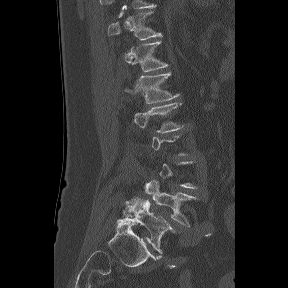 Spine CT — 288 mm wide — sagittal view
Box edges are left/top/right/bottom in pixels.
A vertebra is boxed only from the first to the last slice where its cross-section is at least a third of its largest; slices outside that range leave it without a box.
The labels name a sixth lumbar vertebra for this spine: L6, after L5.
T11: left=108, top=5, right=162, bottom=39
T12: left=129, top=41, right=168, bottom=71
L1: left=125, top=72, right=179, bottom=103
L2: left=133, top=102, right=182, bottom=132
L5: left=145, top=180, right=196, bottom=226
L6: left=118, top=198, right=176, bottom=254